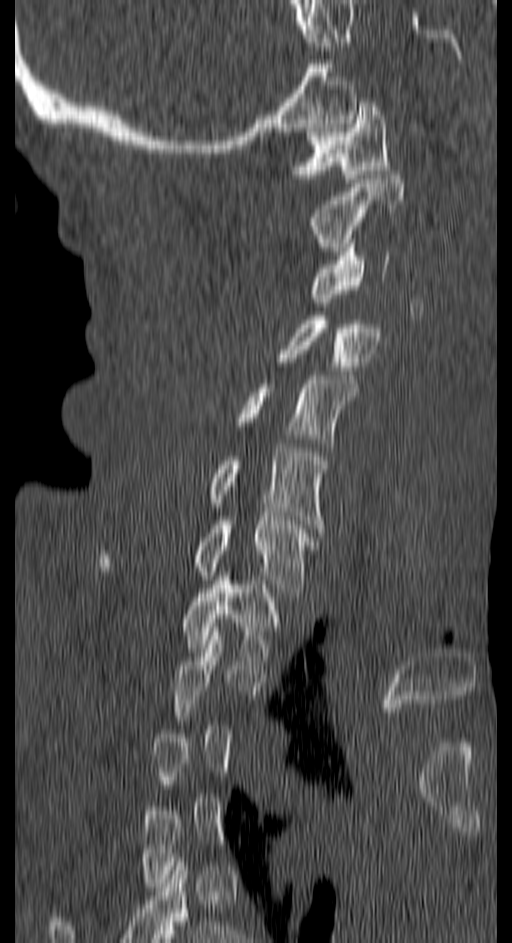

CT, spine. sagittal view. W/L 1800/400 HU. 512x943 px

Each vertebra maps to its box as [x1, y1, x2, y2], the pixel coordinates of its top-left and bottom-right corners.
A vertebra gets a box only on the slices from the first to the last where its cross-section is at least a third of its largest; on a slice outside that range it gets none.
{"vertebrae":{"C1":[295,98,389,182],"C2":[308,175,403,251],"C3":[312,243,391,302],"C4":[279,316,379,370],"C5":[237,375,358,447],"C6":[209,448,328,532],"C7":[100,516,318,592],"T1":[182,572,278,665]}}